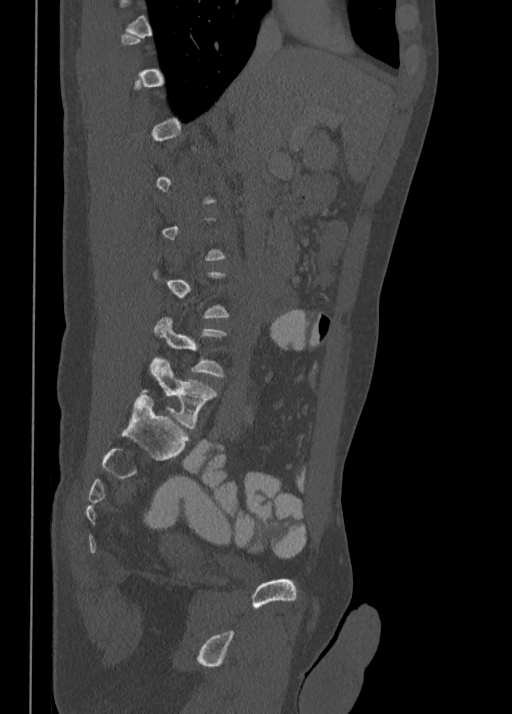 CT, spine — sagittal view
Each vertebra maps to its box as [x1, y1, x2, y2], the pixel coordinates of its top-left and bottom-right corners.
A vertebra gets a box only on the slices from the first to the last where its cross-section is at least a third of its largest; on a slice outside that range it gets none.
{"vertebrae":{"L4":[153,316,227,376],"L5":[142,357,217,428]}}